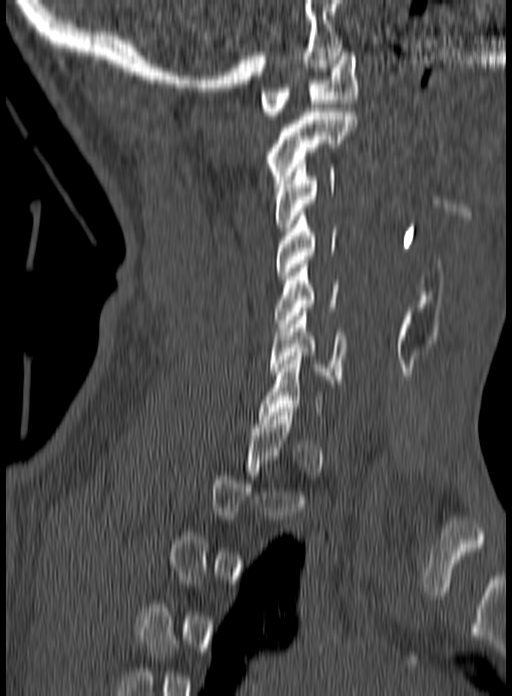
CT spine; sagittal view; image 160 mm wide; 512x696 px
Each box is [x1, y1, x2, y2] in pixels: top-left corner, then bottom-right corner.
A vertebra is boxed only from the first to the last slice where its cross-section is at least a third of its largest; slices outside that range leave it without a box.
{"vertebrae":{"C6":[268,308,346,383],"C5":[275,260,338,331],"C4":[276,212,336,279],"C3":[273,160,336,231],"C2":[264,108,357,187],"C1":[260,48,359,115]}}